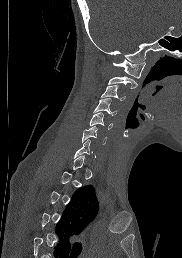

Spine computed tomography — 182 mm across the image — sagittal reformat

Coordinates as <box>x1,y1,x2,y2</box>.
A vertebra is boxed only from the first to the last slice where its cross-section is at least a third of its largest; slices outside that range leave it without a box.
Vertebra bounding boxes:
- C1: <box>113,59,145,78</box>
- C2: <box>108,76,137,88</box>
- C3: <box>101,85,125,100</box>
- C4: <box>94,98,116,115</box>
- C5: <box>89,112,112,129</box>
- C6: <box>82,126,106,143</box>
- C7: <box>74,139,92,158</box>